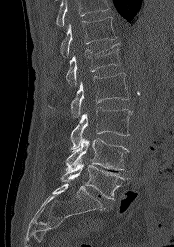
CT, spine — sagittal view. Box edges are left/top/right/bottom in pixels.
Vertebrae that run past the top of the scan are left unlabeled.
T12: left=60, top=17, right=116, bottom=56
L1: left=66, top=44, right=121, bottom=85
L2: left=49, top=73, right=129, bottom=117
L3: left=70, top=107, right=131, bottom=149
L4: left=65, top=138, right=128, bottom=170
L5: left=61, top=159, right=126, bottom=200